CT · sagittal plane, index 237 · W/L 1800/400 HU · 512x612 px
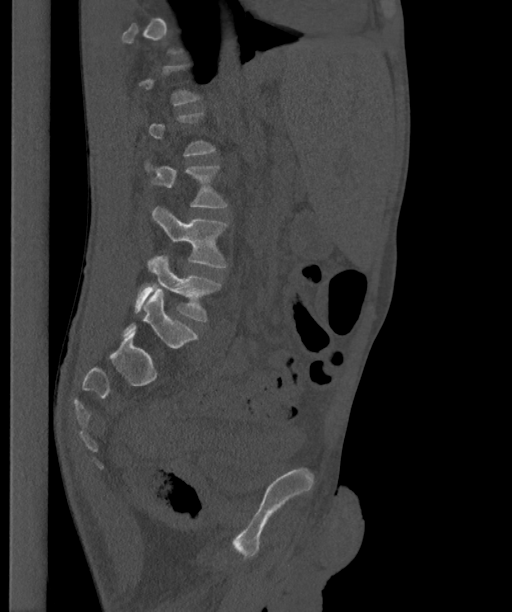 Box edges are left/top/right/bottom in pixels.
Each vertebra is boxed only on the slices from the first to the last where its cross-section reaches a third of its largest, so a slice outside that range leaves it unboxed.
In these labels the spine has an L6, a sixth lumbar vertebra below L5.
L6: left=122, top=288, right=198, bottom=348
L5: left=134, top=255, right=222, bottom=321
L4: left=152, top=206, right=227, bottom=267
L3: left=144, top=160, right=227, bottom=207